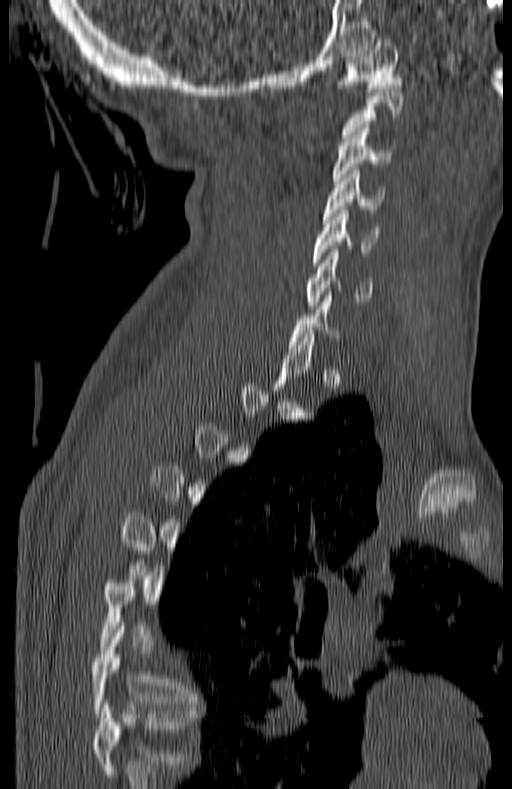

CT, spine · sagittal view · W/L 1800/400 HU
Each box is [x1, y1, x2, y2] in pixels: top-left corner, then bottom-right corner.
A vertebra gets a box only on the slices from the first to the last where its cross-section is at least a third of its largest; on a slice outside that range it gets none.
The highest labeled vertebra in this scan is C1; the lowest is T7.
{"vertebrae":{"T7":[92,626,196,714],"C6":[308,249,373,308],"C5":[314,210,378,266],"C4":[322,171,385,219],"C3":[332,128,393,184],"C1":[339,39,401,91]}}